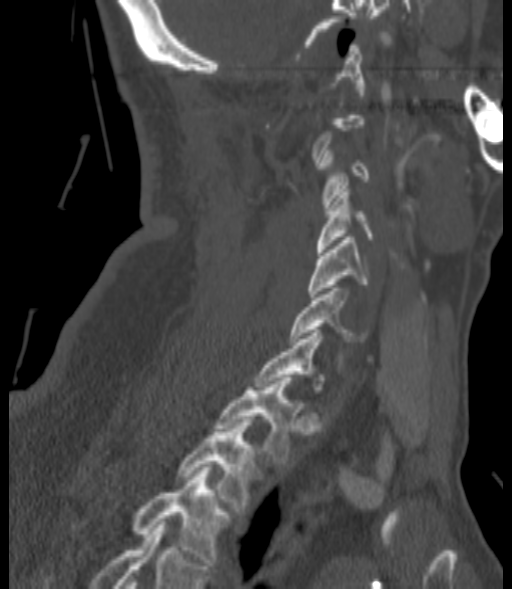 Spine CT — sagittal reformat — bone-window reconstruction — 512x589 px — 200 mm image width
Each vertebra is boxed only on the slices from the first to the last where its cross-section reaches a third of its largest, so a slice outside that range leaves it unboxed.
<vertebrae><v name="C4" x1="318" y1="186" x2="371" y2="252"/><v name="C5" x1="308" y1="237" x2="368" y2="297"/><v name="C6" x1="290" y1="288" x2="368" y2="341"/><v name="T1" x1="216" y1="378" x2="294" y2="463"/><v name="T2" x1="177" y1="419" x2="253" y2="511"/><v name="T3" x1="134" y1="467" x2="228" y2="565"/></vertebrae>